Spine computed tomography · the image spans 149 mm across · sagittal reformat · bone window · 512x919 px · scan covers 12 annotated vertebrae
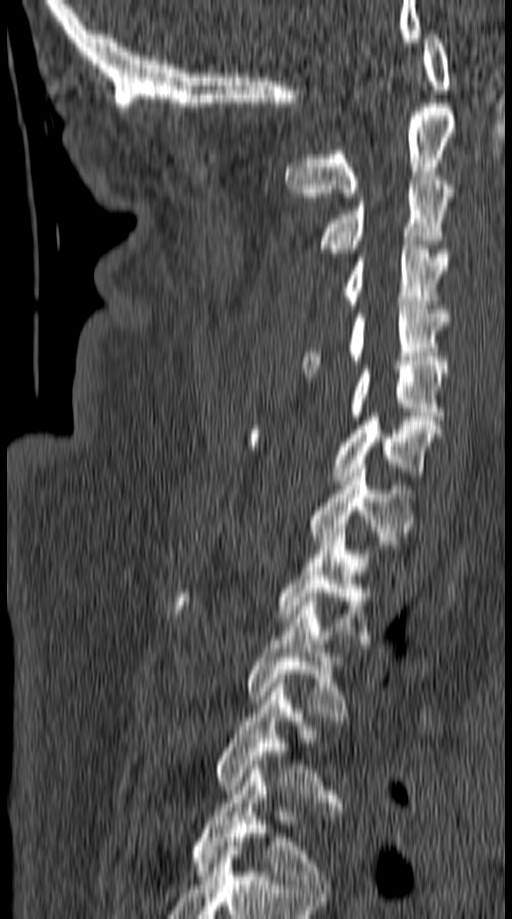

<vertebrae><v name="T5" x1="190" y1="760" x2="336" y2="892"/><v name="T4" x1="214" y1="683" x2="342" y2="811"/><v name="T3" x1="245" y1="597" x2="347" y2="721"/><v name="T2" x1="170" y1="528" x2="371" y2="643"/><v name="T1" x1="307" y1="464" x2="415" y2="549"/><v name="C7" x1="246" y1="412" x2="445" y2="484"/><v name="C6" x1="348" y1="365" x2="447" y2="420"/><v name="C5" x1="302" y1="305" x2="448" y2="373"/><v name="C4" x1="328" y1="245" x2="447" y2="308"/><v name="C3" x1="319" y1="172" x2="453" y2="257"/><v name="C2" x1="286" y1="103" x2="454" y2="197"/><v name="C1" x1="421" y1="30" x2="450" y2="89"/></vertebrae>